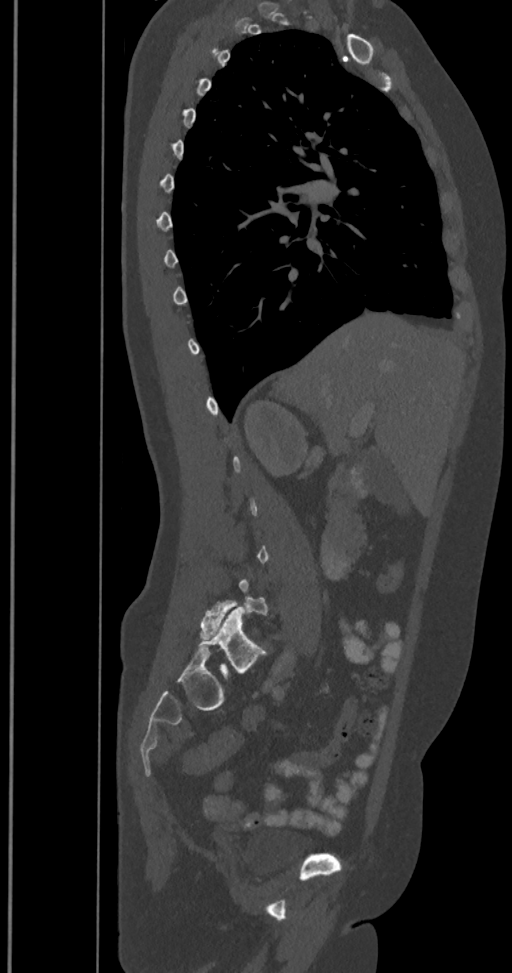

Computed tomography of the spine — sagittal view — W/L 1800/400 HU. Columns x1, y1, x2, y2 give each box's top-left and bottom-right pixels.
Not every vertebra on this slice has a box: a vertebra is boxed only from the first to the last slice where its cross-section is at least a third of its largest, and this slice is outside that range for at least one of them.
These labels give the spine a sixth lumbar vertebra, L6, below L5.
| vertebra | x1 | y1 | x2 | y2 |
|---|---|---|---|---|
| L6 | 199 | 607 | 264 | 672 |
| L5 | 200 | 579 | 268 | 638 |